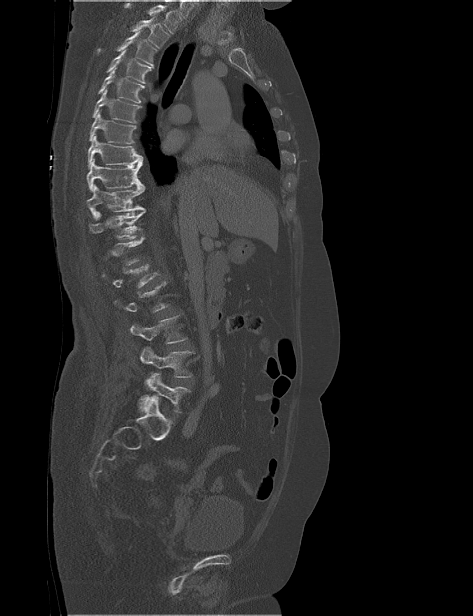

Spine CT. sagittal view. W/L 1800/400 HU
Box values are [left, top, right, bottom] in pixels.
A vertebra is boxed only from the first to the last slice where its cross-section is at least a third of its largest; slices outside that range leave it without a box.
A vertebra cut off by the top edge of the scan is not labeled and has no box.
{"vertebrae":{"T2":[130,18,169,48],"T3":[97,30,157,68],"T4":[105,49,151,83],"T5":[97,67,144,103],"T6":[92,89,141,123],"T7":[89,109,136,143],"T8":[88,135,143,168],"T9":[86,158,144,191],"T10":[86,185,145,219],"T11":[89,211,145,239],"L1":[103,264,158,288],"L2":[114,281,169,312],"L3":[130,315,187,344],"L4":[140,346,195,377],"L5":[139,373,191,412]}}